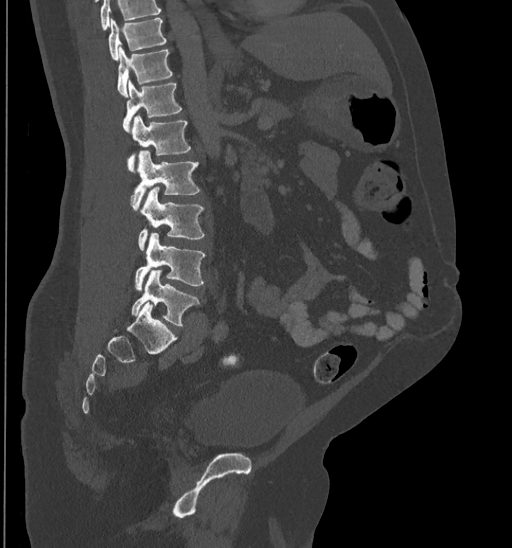

CT, spine · sagittal reformat

No box is given to a vertebra that the top edge of the scan cuts off.
<vertebrae><v name="T10" x1="108" y1="18" x2="166" y2="59"/><v name="T11" x1="116" y1="47" x2="172" y2="96"/><v name="T12" x1="122" y1="81" x2="181" y2="132"/><v name="L1" x1="128" y1="114" x2="191" y2="172"/><v name="L2" x1="131" y1="150" x2="200" y2="210"/><v name="L3" x1="138" y1="187" x2="204" y2="250"/><v name="L4" x1="134" y1="232" x2="205" y2="290"/><v name="L5" x1="132" y1="270" x2="199" y2="325"/></vertebrae>